Spine CT — sagittal reformat — image 149 mm wide — scan covers 12 annotated vertebrae
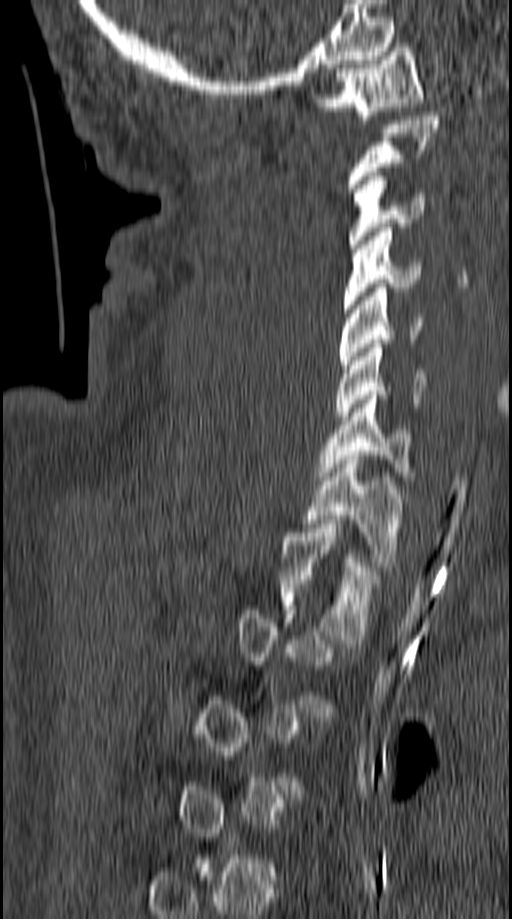
Box edges are left/top/right/bottom in pixels.
Not every vertebra on this slice has a box: a vertebra is boxed only from the first to the last slice where its cross-section is at least a third of its largest, and this slice is outside that range for at least one of them.
| vertebra | x1 | y1 | x2 | y2 |
|---|---|---|---|---|
| C1 | 313 | 43 | 424 | 119 |
| C2 | 348 | 112 | 440 | 192 |
| C3 | 348 | 172 | 425 | 252 |
| C4 | 344 | 223 | 420 | 313 |
| C5 | 338 | 283 | 423 | 368 |
| C6 | 335 | 344 | 426 | 420 |
| C7 | 318 | 391 | 413 | 480 |
| T1 | 302 | 451 | 402 | 566 |
| T2 | 280 | 524 | 378 | 639 |